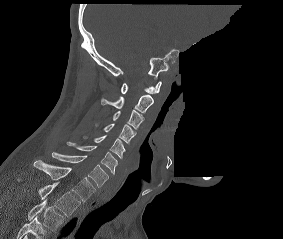

CT, spine. sagittal view. an area of the scan was removed and filled with constant pixels
The highest labeled vertebra in this scan is C1; the lowest is T2.
<vertebrae><v name="C1" x1="121" y1="81" x2="161" y2="93"/><v name="C2" x1="101" y1="95" x2="153" y2="113"/><v name="C3" x1="113" y1="109" x2="144" y2="129"/><v name="C4" x1="95" y1="124" x2="136" y2="143"/><v name="C5" x1="83" y1="135" x2="125" y2="158"/><v name="C6" x1="66" y1="141" x2="117" y2="174"/><v name="C7" x1="52" y1="152" x2="108" y2="187"/><v name="T1" x1="33" y1="160" x2="95" y2="202"/><v name="T2" x1="38" y1="182" x2="80" y2="217"/></vertebrae>